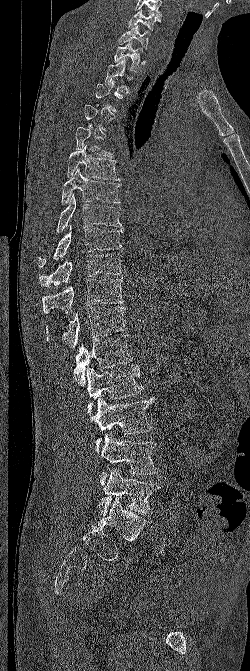
CT, spine; sagittal view; 250x671 px
Boxes below are [x1, y1, x2, y2] in pixels.
Not every vertebra on this slice has a box: a vertebra is boxed only from the first to the last slice where its cross-section is at least a third of its largest, and this slice is outside that range for at least one of them.
{"vertebrae":{"L5":[98,468,159,515],"L4":[99,431,158,486],"L3":[86,396,154,452],"L2":[87,365,143,418],"L1":[73,333,132,385],"T12":[46,307,126,350],"T11":[42,277,124,313],"T10":[39,253,122,286],"T9":[38,224,122,267],"T8":[56,194,121,232],"T7":[61,168,120,204],"T6":[67,145,119,180],"T5":[75,126,113,157],"T2":[105,58,132,93],"T1":[114,41,143,72],"C7":[118,25,150,49],"C6":[128,8,160,31]}}